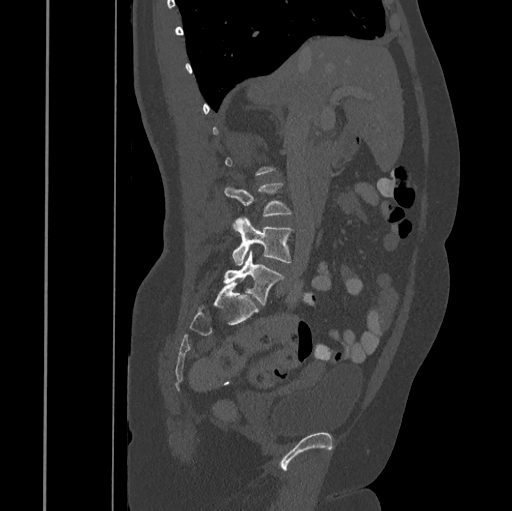 Computed tomography of the spine. sagittal reformat. 445 mm image width. W/L 1800/400 HU
Boxes: x1:y1:x2:y2 in pixels. Each vertebra is boxed only on the slices from the first to the last where its cross-section reaches a third of its largest, so a slice outside that range leaves it unboxed. The labeled vertebrae in this slice are: L3 at 224:182:291:216, L4 at 232:217:292:265, L5 at 223:251:285:304.